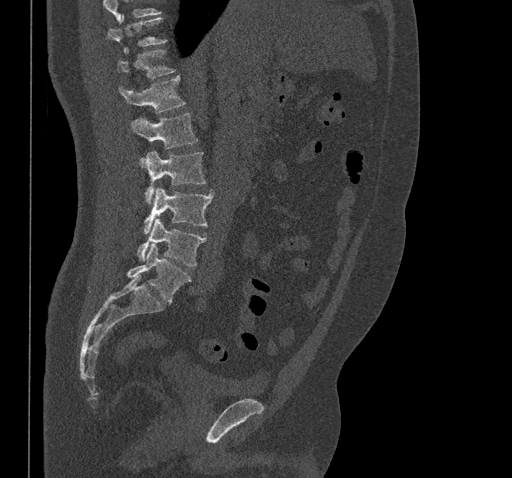
CT spine; sagittal view; bone window; 512x478 px

Boxes: x1:y1:x2:y2 in pixels.
Vertebrae that run past the top of the scan are left unlabeled.
Vertebra bounding boxes:
- T10: 107:17:166:53
- T11: 117:49:174:78
- T12: 119:75:185:113
- L1: 131:112:197:167
- L2: 145:150:206:204
- L3: 144:187:213:234
- L4: 136:218:206:266
- L5: 127:244:191:303